CT; sagittal view; 512x589 px; scan covers 10 annotated vertebrae; 200 mm across the image
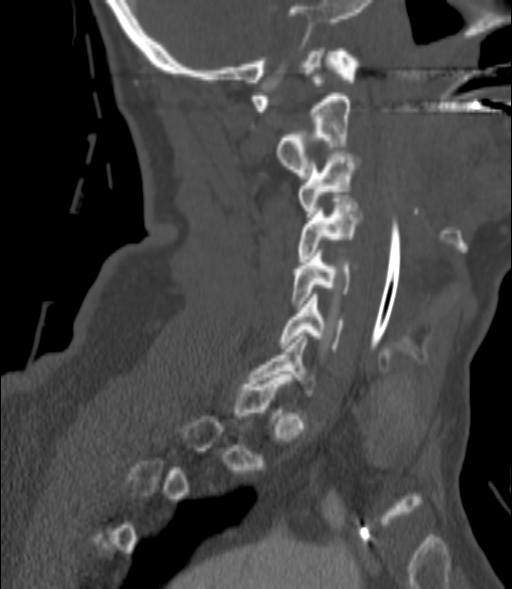 Bounding boxes as [x1, y1, x2, y2] in pixel coordinates. Each vertebra is boxed only on the slices from the first to the last where its cross-section reaches a third of its largest, so a slice outside that range leaves it unboxed. 5 vertebrae labeled — C6 at [279, 294, 343, 351]; C5 at [293, 250, 359, 306]; C4 at [298, 198, 359, 261]; C3 at [298, 150, 356, 220]; C2 at [277, 96, 351, 178].